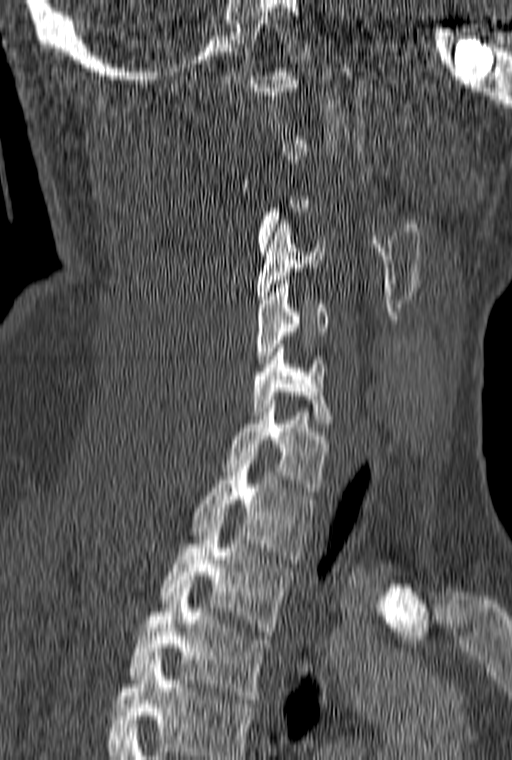
Computed tomography of the spine; sagittal view; Bone window (WL 400, WW 1800); 512x760 px

Each vertebra is boxed only on the slices from the first to the last where its cross-section reaches a third of its largest, so a slice outside that range leaves it unboxed.
The highest labeled vertebra in this scan is C1; the lowest is T3.
<vertebrae><v name="T3" x1="129" y1="588" x2="269" y2="703"/><v name="T2" x1="161" y1="520" x2="291" y2="635"/><v name="T1" x1="191" y1="452" x2="314" y2="559"/><v name="C7" x1="225" y1="400" x2="330" y2="495"/><v name="C6" x1="251" y1="344" x2="333" y2="427"/><v name="C5" x1="256" y1="280" x2="327" y2="367"/><v name="C4" x1="257" y1="220" x2="326" y2="303"/></vertebrae>